CT spine; Sagittal slice 49/80; 196x196 px
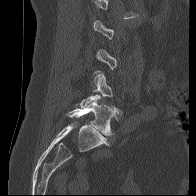 Coordinates as <box>x1,y1,x2,y2</box>.
A vertebra is boxed only from the first to the last slice where its cross-section is at least a third of its largest; slices outside that range leave it without a box.
L5: <box>67,98,117,135</box>
L4: <box>77,71,117,109</box>